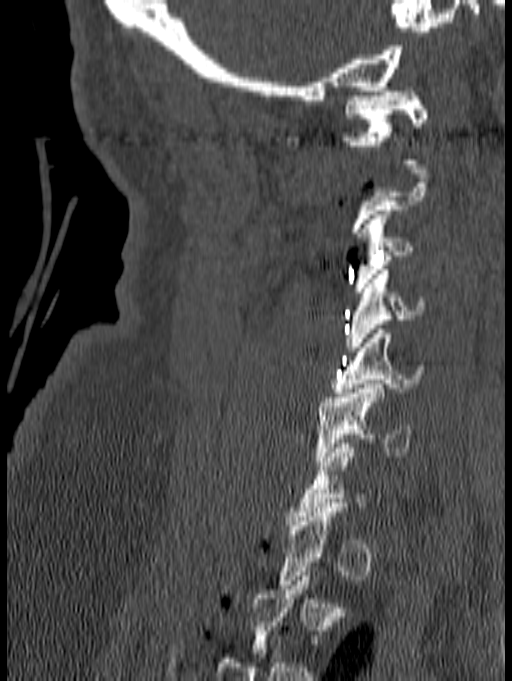 CT · sagittal view
Each vertebra maps to its box as [x1, y1, x2, y2], the pixel coordinates of its top-left and bottom-right corners.
Each vertebra is boxed only on the slices from the first to the last where its cross-section reaches a third of its largest, so a slice outside that range leaves it unboxed.
{"vertebrae":{"C1":[342,87,427,164],"C3":[352,210,414,292],"C4":[344,270,426,351],"C5":[330,329,425,397],"C6":[315,384,412,465]}}